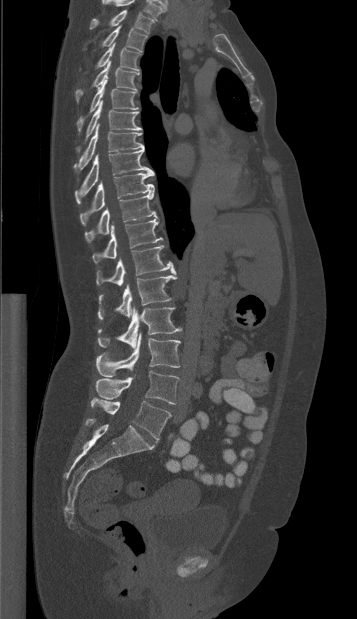

Spine computed tomography. sagittal view. Box edges are left/top/right/bottom in pixels. The highest labeled vertebra in this scan is T1; the lowest is L5. Vertebrae labeled: T1 at left=90, top=10, right=155, bottom=33, T2 at left=84, top=27, right=146, bottom=51, T3 at left=95, top=43, right=139, bottom=70, T4 at left=75, top=61, right=139, bottom=101, T5 at left=77, top=78, right=137, bottom=131, T6 at left=76, top=101, right=141, bottom=151, T7 at left=74, top=124, right=144, bottom=173, T8 at left=75, top=151, right=153, bottom=203, T9 at left=80, top=173, right=154, bottom=225, T10 at left=85, top=191, right=157, bottom=242, T11 at left=92, top=219, right=162, bottom=263, T12 at left=96, top=245, right=175, bottom=285, L1 at left=97, top=275, right=177, bottom=319, L2 at left=97, top=307, right=181, bottom=348, L3 at left=96, top=333, right=180, bottom=376, L4 at left=95, top=371, right=178, bottom=404, L5 at left=91, top=397, right=171, bottom=439.